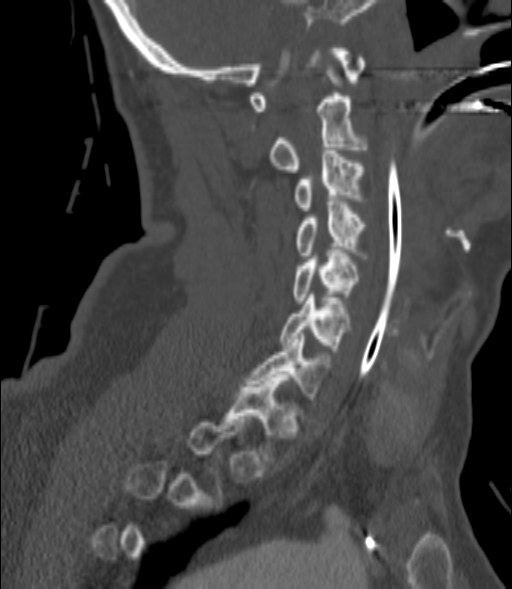

CT spine; sagittal view; bone window; 512x589 px; image width 200 mm
Boxes below are [x1, y1, x2, y2] in pixels.
A vertebra gets a box only on the slices from the first to the last where its cross-section is at least a third of its largest; on a slice outside that range it gets none.
{"vertebrae":{"T1":[224,378,297,460],"C7":[247,333,327,402],"C6":[280,294,348,351],"C5":[293,250,358,303],"C4":[295,202,366,258],"C3":[295,150,363,210],"C2":[270,70,366,172]}}